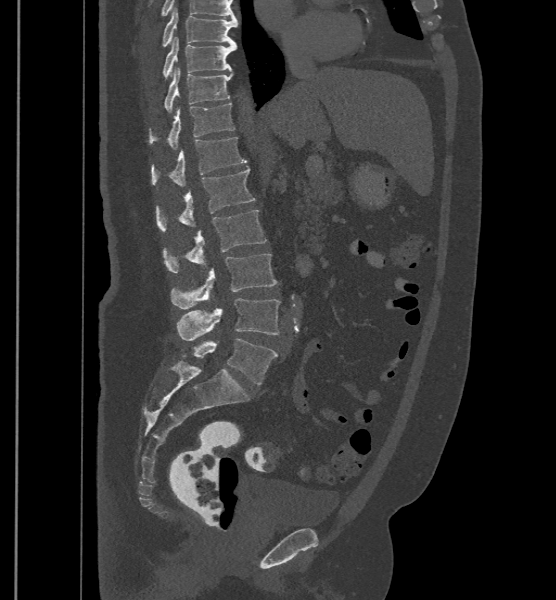
CT spine. sagittal view
Boxes below are [x1, y1, x2, y2] in pixels.
The labels name a sixth lumbar vertebra for this spine: L6, after L5.
{"vertebrae":{"L6":[181,338,277,385],"L5":[177,298,280,340],"L4":[171,253,277,309],"L3":[164,210,267,272],"L2":[155,168,255,230],"L1":[151,137,246,187],"T12":[149,96,234,149],"T11":[165,67,232,112],"T10":[164,37,236,77],"T9":[162,7,237,46]}}